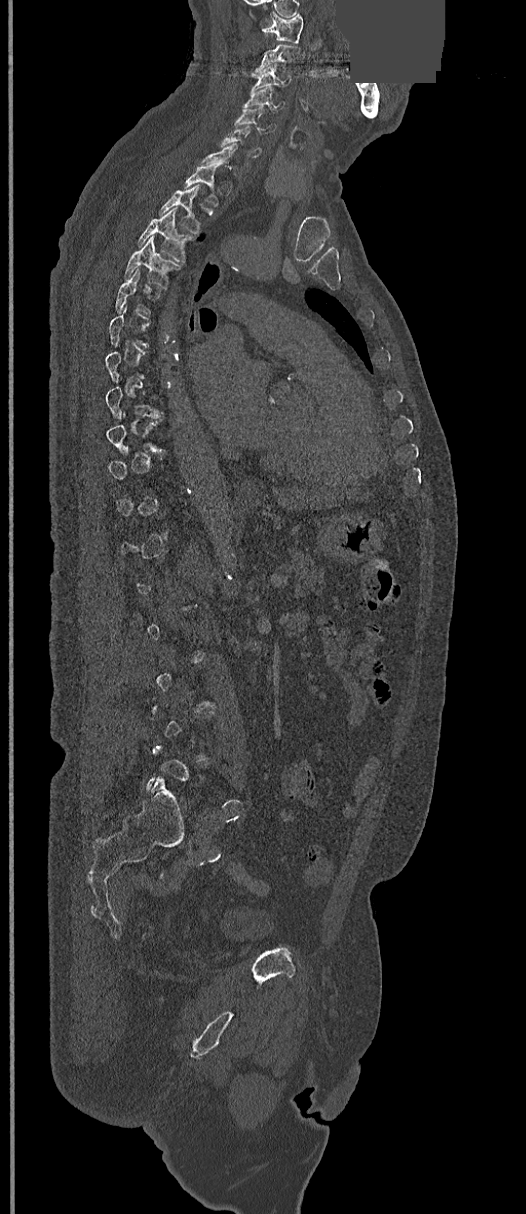 Computed tomography of the spine · the image spans 368 mm across · sagittal view · Bone window (WL 400, WW 1800) · 526x1214 px · part of the image has been replaced by a constant value

Boxes are given in columns x1, y1, x2, y2, the pixel coordinates of their top-left and bottom-right corners.
Not every vertebra on this slice has a box: a vertebra is boxed only from the first to the last slice where its cross-section is at least a third of its largest, and this slice is outside that range for at least one of them.
| vertebra | x1 | y1 | x2 | y2 |
|---|---|---|---|---|
| C1 | 263 | 11 | 303 | 42 |
| C2 | 252 | 44 | 299 | 76 |
| C3 | 252 | 63 | 289 | 88 |
| C4 | 244 | 87 | 283 | 110 |
| C5 | 235 | 106 | 276 | 133 |
| C6 | 220 | 126 | 262 | 156 |
| T1 | 183 | 164 | 222 | 208 |
| T2 | 158 | 184 | 200 | 233 |
| T3 | 139 | 208 | 192 | 262 |
| T4 | 124 | 237 | 178 | 285 |